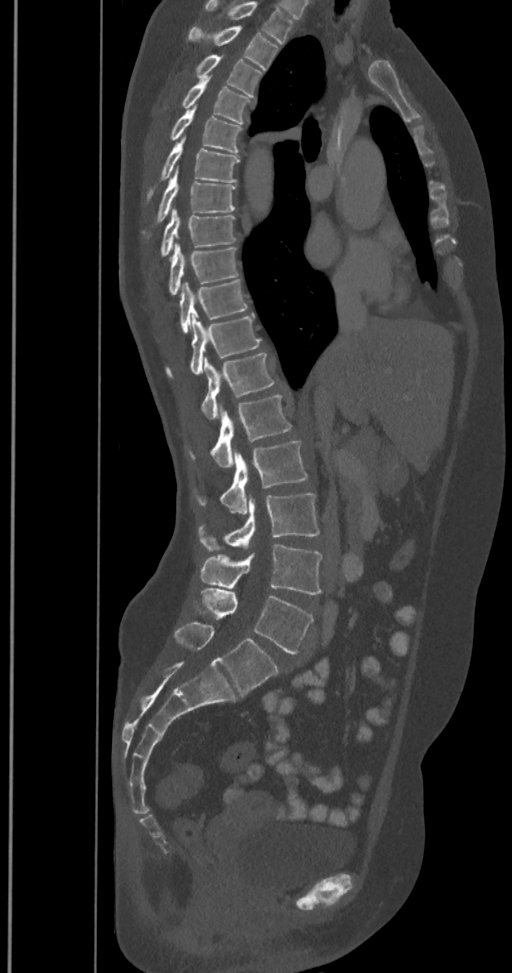

Spine CT · sagittal reformat · Bone window (WL 400, WW 1800)
In this scan, the topmost labeled vertebra is T2 and the lowest is L6.
In these labels the spine has an L6, a sixth lumbar vertebra below L5.
<vertebrae><v name="T2" x1="187" y1="26" x2="278" y2="70"/><v name="T3" x1="194" y1="54" x2="262" y2="98"/><v name="T4" x1="181" y1="76" x2="252" y2="124"/><v name="T5" x1="168" y1="107" x2="242" y2="153"/><v name="T6" x1="146" y1="137" x2="240" y2="203"/><v name="T7" x1="143" y1="169" x2="236" y2="239"/><v name="T8" x1="159" y1="208" x2="236" y2="257"/><v name="T9" x1="168" y1="244" x2="239" y2="295"/><v name="T10" x1="178" y1="279" x2="247" y2="333"/><v name="T11" x1="165" y1="313" x2="261" y2="377"/><v name="T12" x1="200" y1="353" x2="275" y2="419"/><v name="L1" x1="188" y1="394" x2="291" y2="468"/><v name="L2" x1="196" y1="441" x2="307" y2="514"/><v name="L3" x1="199" y1="494" x2="319" y2="551"/><v name="L4" x1="200" y1="545" x2="322" y2="594"/><v name="L5" x1="194" y1="589" x2="313" y2="653"/><v name="L6" x1="174" y1="621" x2="278" y2="695"/></vertebrae>